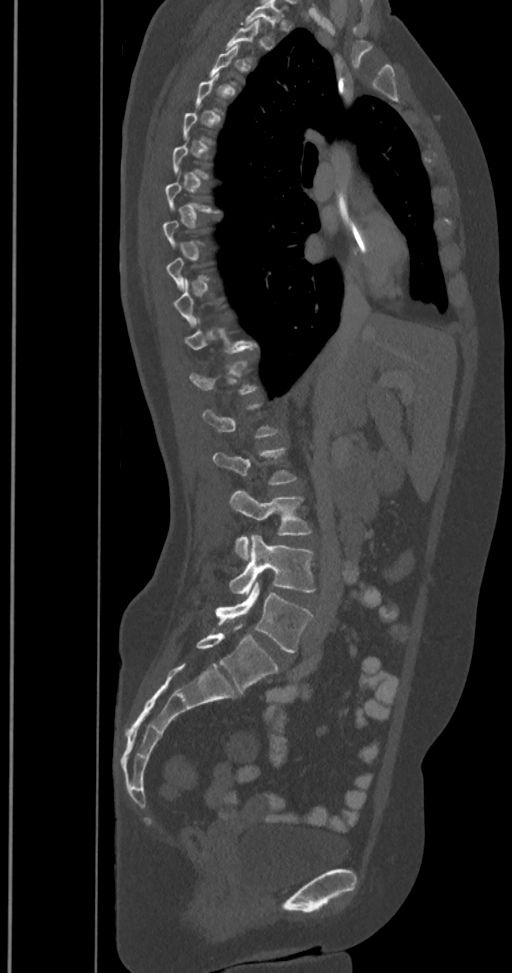 Computed tomography of the spine; sagittal view; Bone window (WL 400, WW 1800)
Boxes: x1:y1:x2:y2 in pixels. A vertebra gets a box only on the slices from the first to the last where its cross-section is at least a third of its largest; on a slice outside that range it gets none. In these labels the spine has an L6, a sixth lumbar vertebra below L5. Vertebrae labeled: T11 at 184:317:256:353, L2 at 212:446:297:485, L3 at 229:490:312:560, L4 at 229:535:315:593, L5 at 215:582:313:653, L6 at 196:629:278:692.